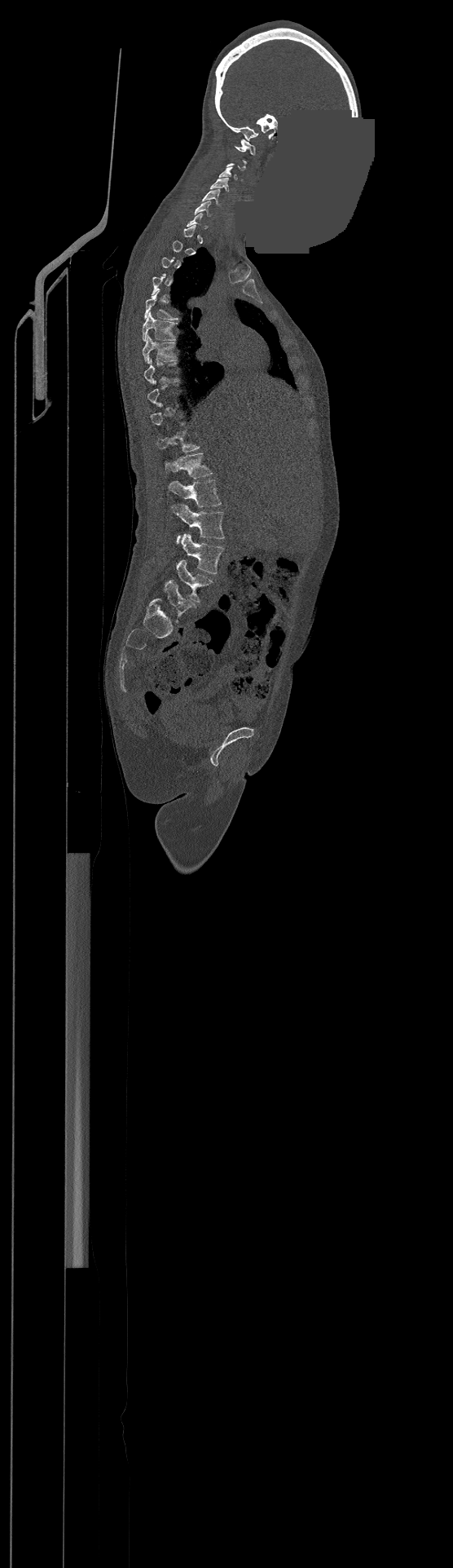

Spine computed tomography; sagittal view; bone-window reconstruction; 453x1568 px; a portion of the image is blanked out (constant pixel value)

A vertebra is boxed only from the first to the last slice where its cross-section is at least a third of its largest; slices outside that range leave it without a box.
Labels in this scan begin with C1 at the top and end with L4 at the bottom.
<vertebrae><v name="L4" x1="175" y1="559" x2="213" y2="602"/><v name="L3" x1="180" y1="533" x2="223" y2="573"/><v name="L2" x1="172" y1="505" x2="224" y2="542"/><v name="L1" x1="167" y1="479" x2="221" y2="507"/><v name="T12" x1="165" y1="453" x2="213" y2="478"/><v name="T7" x1="143" y1="336" x2="174" y2="362"/><v name="T6" x1="143" y1="314" x2="174" y2="341"/><v name="T5" x1="145" y1="289" x2="177" y2="319"/><v name="C6" x1="195" y1="201" x2="211" y2="215"/><v name="C5" x1="201" y1="189" x2="219" y2="205"/><v name="C4" x1="211" y1="179" x2="229" y2="191"/><v name="C1" x1="235" y1="139" x2="255" y2="155"/></vertebrae>